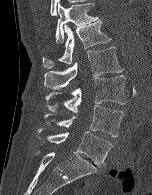 CT; sagittal view; 152x195 px
Boxes: x1:y1:x2:y2 in pixels. The labeled vertebrae in this slice are: T12 at 55:1:99:43, L1 at 42:20:111:68, L2 at 44:47:123:89, L3 at 45:75:126:111, L4 at 44:105:124:137, L5 at 37:129:112:166.